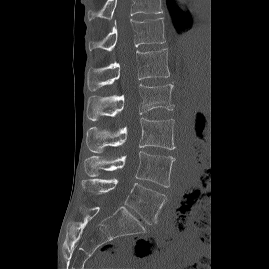
Spine computed tomography; sagittal view; 269x269 px
In this scan, the topmost labeled vertebra is T12 and the lowest is L5.
<vertebrae><v name="T12" x1="88" y1="17" x2="165" y2="51"/><v name="L1" x1="86" y1="48" x2="169" y2="90"/><v name="L2" x1="86" y1="84" x2="173" y2="120"/><v name="L3" x1="85" y1="118" x2="175" y2="153"/><v name="L4" x1="84" y1="151" x2="175" y2="187"/><v name="L5" x1="82" y1="178" x2="167" y2="224"/></vertebrae>